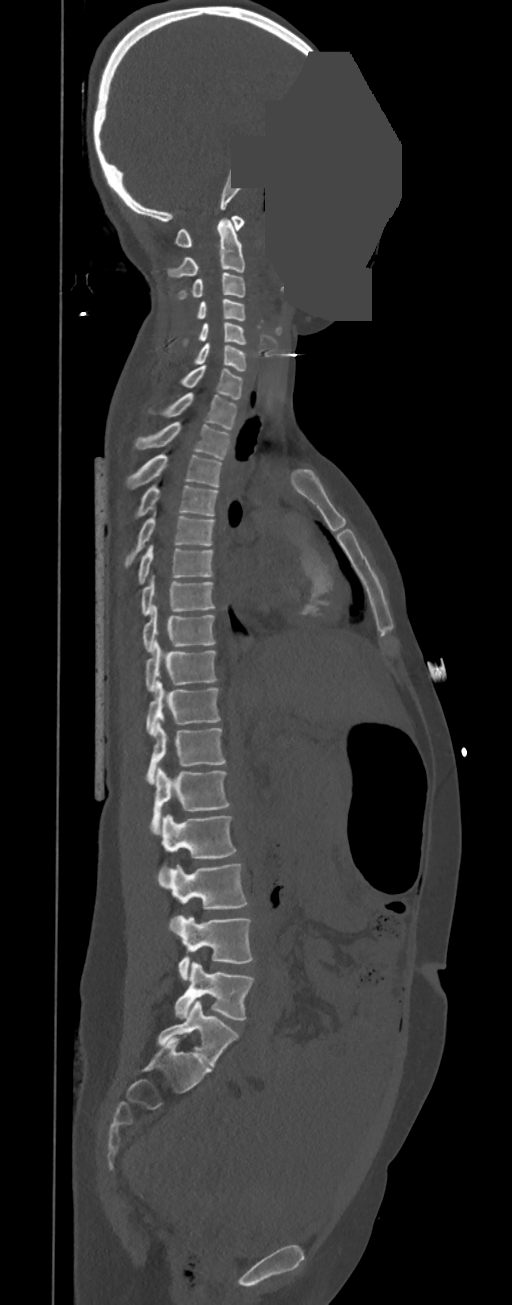

Computed tomography of the spine · sagittal view · W/L 1800/400 HU · part of the image has been replaced by a constant value
Boxes: x1:y1:x2:y2 in pixels.
In these labels the thoracic vertebrae end at T11, so L1 follows T11.
Vertebra bounding boxes:
- L5: 175:961:253:1019
- L4: 176:915:253:980
- L3: 157:862:247:932
- L2: 161:814:236:859
- L1: 151:768:230:834
- T11: 145:720:226:784
- T10: 146:681:220:736
- T9: 146:639:217:692
- T8: 143:604:215:652
- T7: 140:575:214:615
- T6: 139:545:212:584
- T5: 124:511:214:566
- T4: 135:486:218:516
- T3: 127:453:221:489
- T2: 134:421:230:460
- T1: 149:392:237:430
- C7: 180:365:243:399
- C6: 193:342:246:370
- C5: 183:321:246:344
- C4: 196:299:245:320
- C3: 177:273:245:299
- C2: 167:217:245:277
- C1: 175:216:245:247